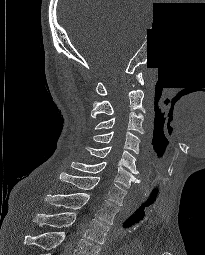
CT, spine — sagittal view — 205 mm image width — a region of this slice is masked with a uniform fill
Coordinates as <box>x1,y1,x2,y2</box>.
In this scan, the topmost labeled vertebra is C1 and the lowest is T2.
Vertebra bounding boxes:
- T2: <box>32,212,109,244</box>
- T1: <box>45,192,118,224</box>
- C7: <box>60,172,126,205</box>
- C6: <box>71,161,140,188</box>
- C5: <box>85,146,139,174</box>
- C4: <box>93,131,140,154</box>
- C3: <box>94,112,144,135</box>
- C2: <box>91,90,145,117</box>
- C1: <box>96,72,143,95</box>